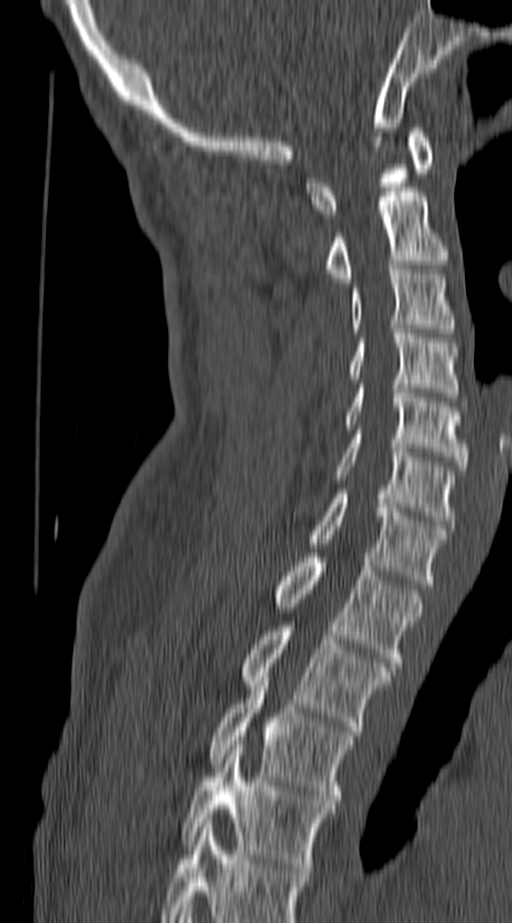 Spine computed tomography — sagittal view — 512x923 px — image 140 mm wide

Bounding boxes as [x1, y1, x2, y2] in pixel coordinates.
This scan's labels start at C1 at the top and end at T4 at the bottom.
C1: [305, 128, 432, 218]
C2: [327, 192, 447, 282]
C3: [351, 270, 454, 333]
C4: [349, 329, 457, 397]
C5: [345, 384, 468, 470]
C6: [334, 434, 454, 525]
C7: [309, 494, 447, 584]
T1: [276, 553, 421, 666]
T2: [243, 626, 392, 730]
T3: [210, 677, 351, 804]
T4: [181, 745, 333, 872]